CT spine. sagittal plane, index 294. Bone window (WL 400, WW 1800). 512x759 px
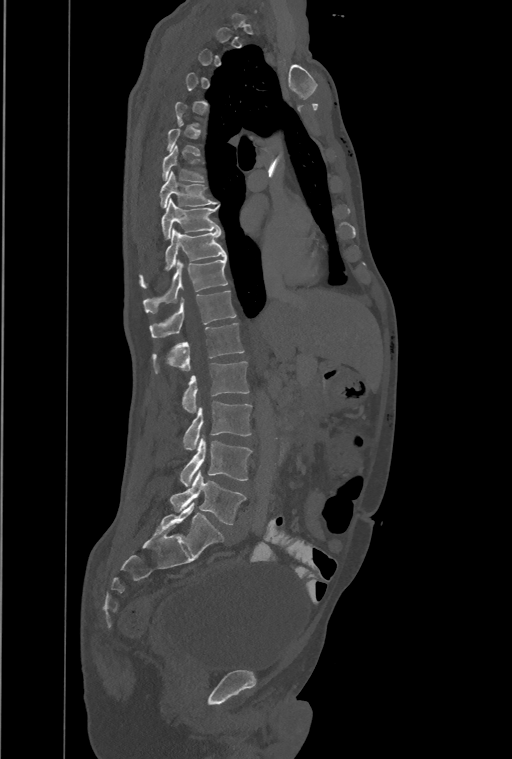 Each box given as x1,y1,x2,y2.
Not every vertebra on this slice has a box: a vertebra is boxed only from the first to the last slice where its cross-section is at least a third of its largest, and this slice is outside that range for at least one of them.
In this scan, the topmost labeled vertebra is T1 and the lowest is L4.
In these labels the spine has a T13, a thirteenth thoracic vertebra, between T12 and L1.
| vertebra | x1 | y1 | x2 | y2 |
|---|---|---|---|---|
| L4 | 170 | 470 | 245 | 525 |
| L3 | 181 | 437 | 252 | 486 |
| L2 | 183 | 401 | 252 | 449 |
| L1 | 182 | 361 | 248 | 414 |
| T13 | 152 | 322 | 244 | 373 |
| T12 | 150 | 290 | 235 | 337 |
| T11 | 143 | 257 | 227 | 313 |
| T10 | 140 | 229 | 226 | 288 |
| T9 | 162 | 198 | 219 | 239 |
| T8 | 160 | 171 | 218 | 207 |
| T7 | 162 | 146 | 204 | 181 |